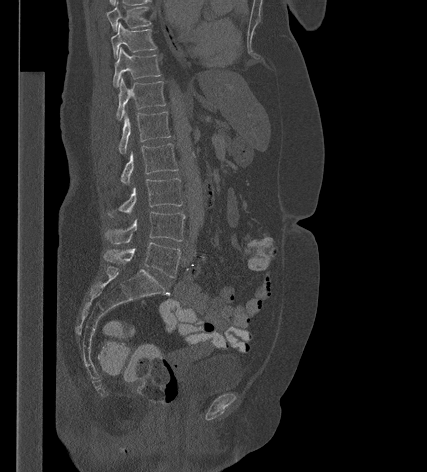

Spine computed tomography — sagittal view
<vertebrae><v name="T9" x1="106" y1="2" x2="151" y2="31"/><v name="T10" x1="111" y1="23" x2="156" y2="58"/><v name="T11" x1="113" y1="48" x2="160" y2="87"/><v name="T12" x1="116" y1="78" x2="165" y2="120"/><v name="L1" x1="118" y1="112" x2="170" y2="153"/><v name="L2" x1="121" y1="143" x2="178" y2="183"/><v name="L3" x1="107" y1="178" x2="182" y2="217"/><v name="L4" x1="104" y1="212" x2="184" y2="244"/><v name="L5" x1="104" y1="242" x2="180" y2="277"/></vertebrae>